Spine CT — sagittal plane, index 284 — 512x905 px — 18 vertebrae labeled in this scan
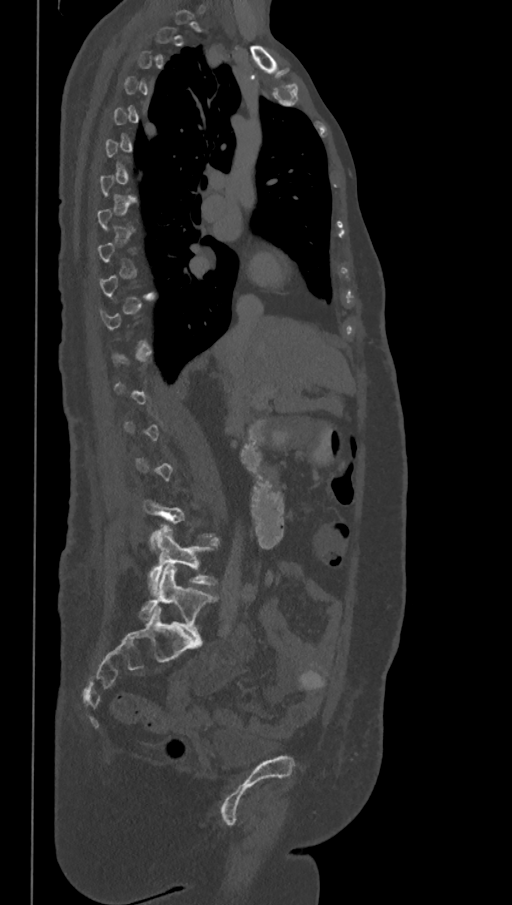 Each box given as x1,y1,x2,y2.
A vertebra is boxed only from the first to the last slice where its cross-section is at least a third of its largest; slices outside that range leave it without a box.
The labels name a sixth lumbar vertebra for this spine: L6, after L5.
L5: x1=149, y1=526, x2=216, y2=588
L6: x1=139, y1=566, x2=217, y2=636